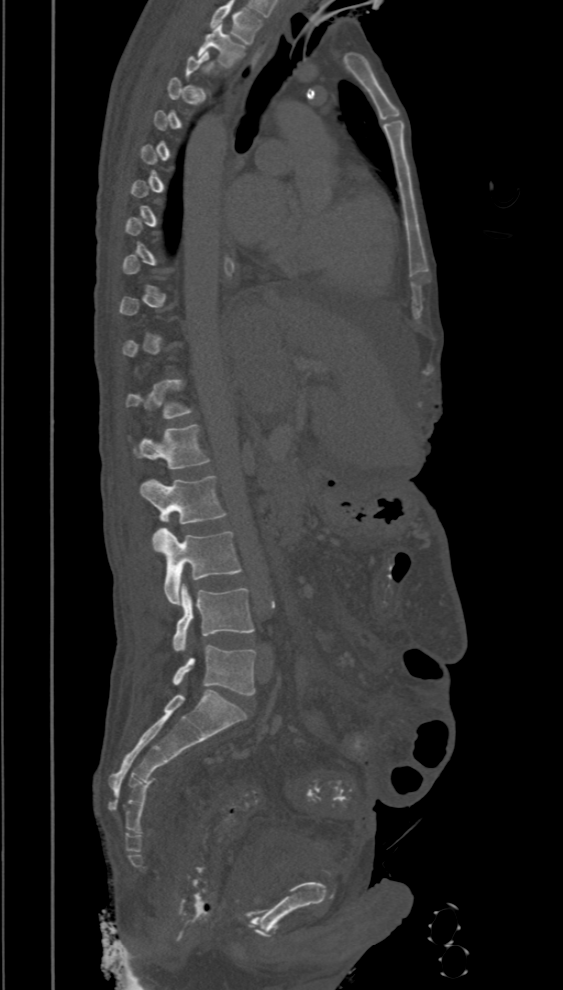 CT, spine · sagittal view · Bone window (WL 400, WW 1800) · 563x990 px · the image spans 394 mm across

Box values are [left, top, right, bottom] in pixels.
A vertebra is boxed only from the first to the last slice where its cross-section is at least a third of its largest; slices outside that range leave it without a box.
In this scan, the topmost labeled vertebra is T2 and the lowest is L5.
{"vertebrae":{"T2":[197,24,244,66],"T12":[125,379,191,418],"L1":[133,425,210,469],"L2":[140,476,225,524],"L3":[152,527,242,605],"L4":[173,583,254,651],"L5":[171,645,256,695]}}